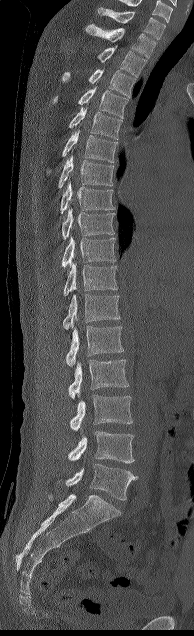

CT, spine · sagittal view · 194 mm across the image. Each row gives a vertebra's box as x1, y1, x2, y2 in pixels: top-left corner, then bottom-right corner.
| vertebra | x1 | y1 | x2 | y2 |
|---|---|---|---|---|
| C7 | 98 | 8 | 165 | 39 |
| T1 | 86 | 24 | 156 | 57 |
| T2 | 97 | 45 | 146 | 77 |
| T3 | 62 | 69 | 135 | 96 |
| T4 | 52 | 86 | 128 | 117 |
| T5 | 68 | 108 | 122 | 139 |
| T6 | 46 | 129 | 118 | 173 |
| T7 | 58 | 149 | 114 | 189 |
| T8 | 60 | 181 | 115 | 213 |
| T9 | 61 | 208 | 115 | 239 |
| T10 | 61 | 236 | 115 | 267 |
| T11 | 63 | 262 | 117 | 296 |
| T12 | 62 | 294 | 120 | 329 |
| L1 | 65 | 326 | 123 | 366 |
| L2 | 68 | 359 | 129 | 399 |
| L3 | 69 | 395 | 132 | 431 |
| L4 | 68 | 431 | 134 | 463 |
| L5 | 65 | 463 | 138 | 500 |